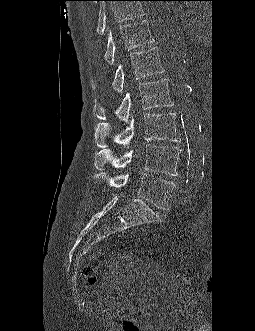 CT, spine. sagittal view. image 255 mm wide. bone-window reconstruction
Boxes are (x1, y1, x2, y2) in pixels. Where the top of the scan cuts through a vertebra, that vertebra gets no label or box. 6 vertebrae labeled — L5 at (94, 172, 174, 209); L4 at (94, 144, 179, 175); L3 at (94, 113, 178, 148); L2 at (93, 79, 173, 124); L1 at (91, 47, 164, 93); T12 at (104, 20, 154, 65).